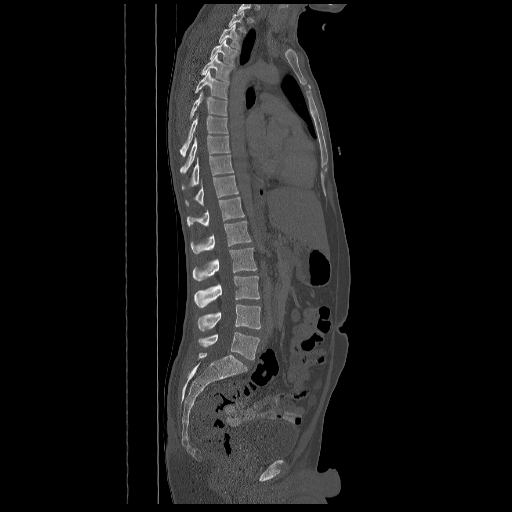
Spine CT — sagittal view — bone window — 512x512 px

Boxes: x1:y1:x2:y2 in pixels. Labels in this scan begin with T2 at the top and end with L5 at the bottom. The labeled vertebrae in this slice are: L5 at 199:331:259:359, L4 at 198:304:260:331, L3 at 194:276:259:307, L2 at 193:248:256:281, L1 at 190:221:251:253, T12 at 187:197:244:226, T11 at 185:175:238:205, T10 at 182:155:234:189, T9 at 180:136:230:173, T8 at 180:114:227:156, T7 at 189:91:227:119, T6 at 195:71:228:99, T5 at 201:54:232:82, T4 at 209:40:238:65, T3 at 219:24:240:49, T2 at 228:11:245:32.